Spine computed tomography; Sagittal slice 75/139
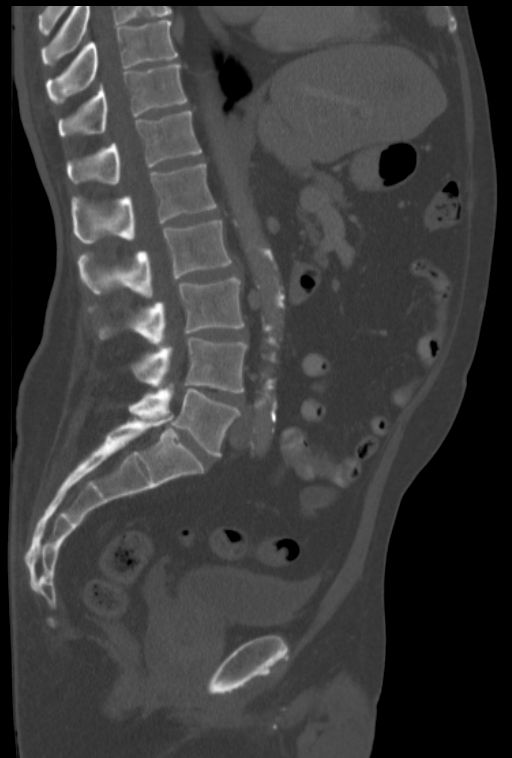

This scan's labels start at T10 at the top and end at L5 at the bottom.
<vertebrae><v name="T10" x1="46" y1="19" x2="177" y2="103"/><v name="T11" x1="58" y1="64" x2="187" y2="138"/><v name="T12" x1="67" y1="110" x2="201" y2="184"/><v name="L1" x1="72" y1="162" x2="216" y2="244"/><v name="L2" x1="77" y1="220" x2="231" y2="298"/><v name="L3" x1="89" y1="278" x2="244" y2="344"/><v name="L4" x1="132" y1="337" x2="247" y2="392"/><v name="L5" x1="129" y1="383" x2="239" y2="457"/></vertebrae>